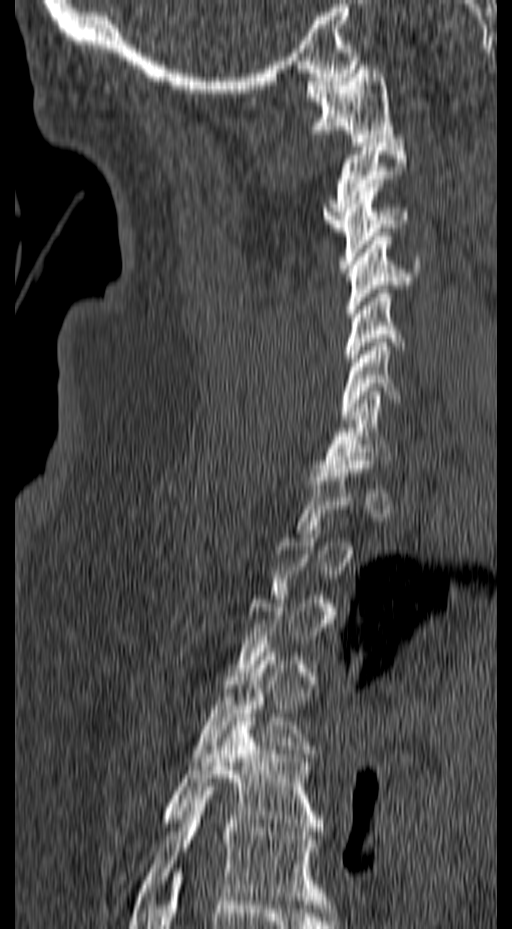 Spine computed tomography. sagittal view. Each box given as x1,y1,x2,y2.
A vertebra gets a box only on the slices from the first to the last where its cross-section is at least a third of its largest; on a slice outside that range it gets none.
T6: x1=128, y1=787, x2=330, y2=924
T5: x1=105, y1=713, x2=323, y2=904
T4: x1=192, y1=648, x2=316, y2=757
C7: x1=320, y1=391, x2=391, y2=472
C6: x1=340, y1=338, x2=428, y2=419
C5: x1=343, y1=285, x2=405, y2=370
C4: x1=345, y1=232, x2=421, y2=317
C3: x1=339, y1=183, x2=408, y2=268
C2: x1=323, y1=139, x2=408, y2=231
C1: x1=305, y1=65, x2=394, y2=142